CT, spine. 232 mm image width. sagittal reformat
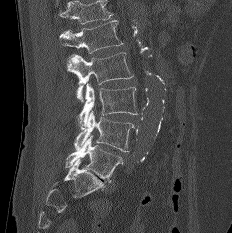 Box edges are left/top/right/bottom in pixels.
Where the top of the scan cuts through a vertebra, that vertebra gets no label or box.
L1: left=59, top=17, right=122, bottom=53
L2: left=66, top=52, right=133, bottom=101
L3: left=77, top=84, right=137, bottom=128
L4: left=74, top=110, right=135, bottom=152
L5: left=65, top=136, right=123, bottom=182